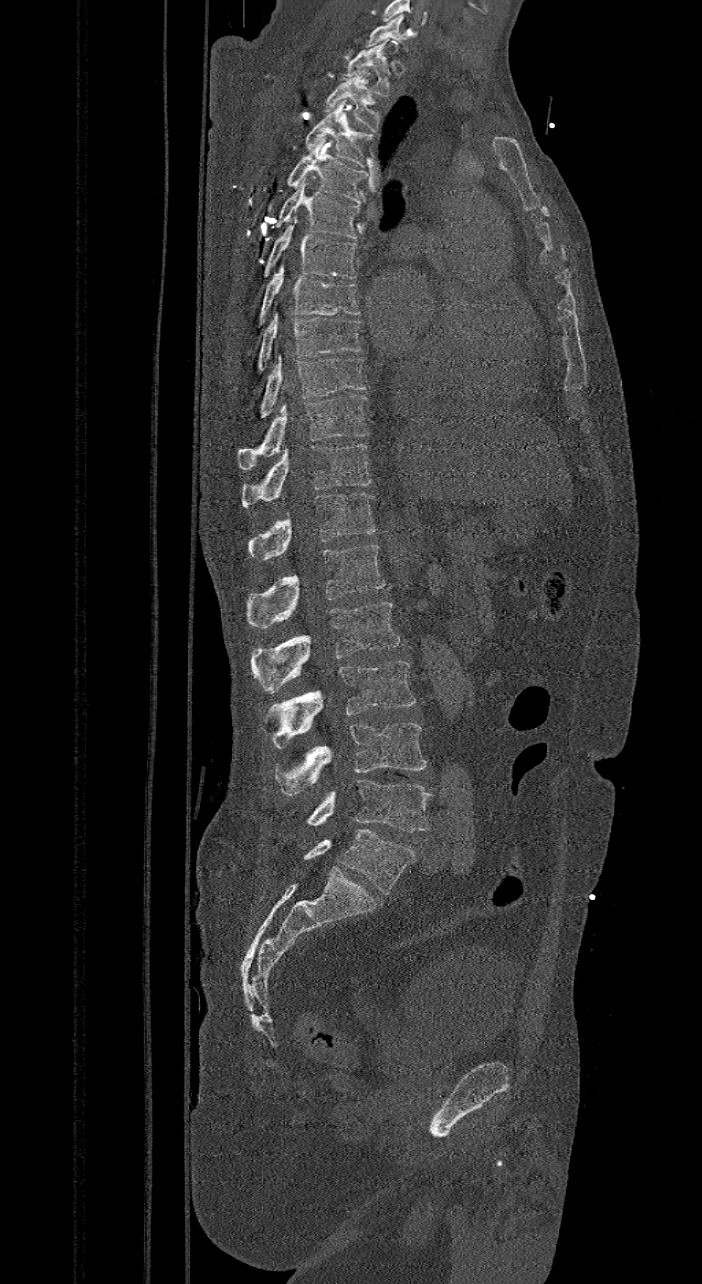

CT, spine · sagittal view · bone window
Boxes are given in columns x1, y1, x2, y2, the pixel coordinates of their top-left and bottom-right corners.
These labels give the spine a sixth lumbar vertebra, L6, below L5.
| vertebra | x1 | y1 | x2 | y2 |
|---|---|---|---|---|
| L6 | 303 | 829 | 416 | 893 |
| L5 | 307 | 779 | 432 | 832 |
| L4 | 275 | 723 | 427 | 795 |
| L3 | 269 | 661 | 416 | 748 |
| L2 | 252 | 600 | 399 | 693 |
| L1 | 247 | 545 | 385 | 629 |
| T12 | 248 | 492 | 376 | 560 |
| T11 | 241 | 444 | 370 | 506 |
| T10 | 238 | 395 | 369 | 469 |
| T9 | 259 | 353 | 366 | 417 |
| T8 | 256 | 310 | 362 | 373 |
| T7 | 247 | 264 | 362 | 354 |
| T6 | 262 | 217 | 359 | 278 |
| T5 | 275 | 176 | 359 | 238 |
| T4 | 288 | 137 | 368 | 203 |
| T3 | 304 | 99 | 375 | 167 |
| T2 | 325 | 69 | 379 | 131 |
| T1 | 343 | 39 | 391 | 96 |
| C7 | 365 | 14 | 407 | 50 |